Spine CT · sagittal reformat · bone-window reconstruction · 10 vertebrae labeled in this scan
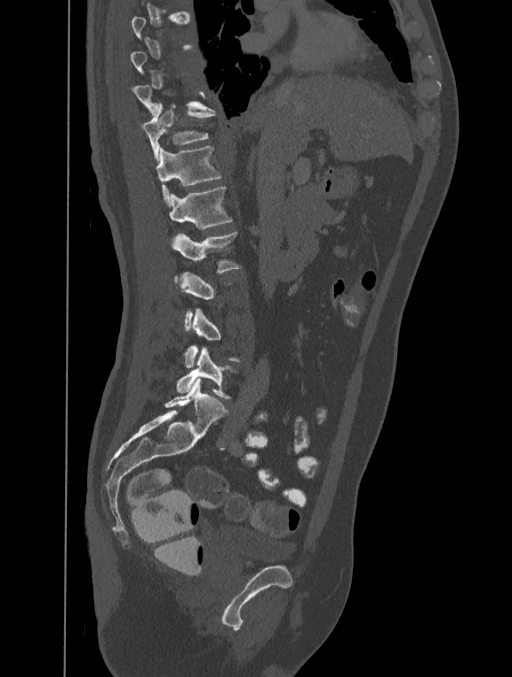 Box edges are left/top/right/bottom in pixels.
A vertebra gets a box only on the slices from the first to the last where its cross-section is at least a third of its largest; on a slice outside that range it gets none.
T11: left=140, top=103, right=215, bottom=161
T12: left=156, top=146, right=221, bottom=206
L1: left=168, top=186, right=233, bottom=229
L2: left=174, top=231, right=240, bottom=282
L4: left=184, top=308, right=239, bottom=367
L5: left=176, top=347, right=230, bottom=399